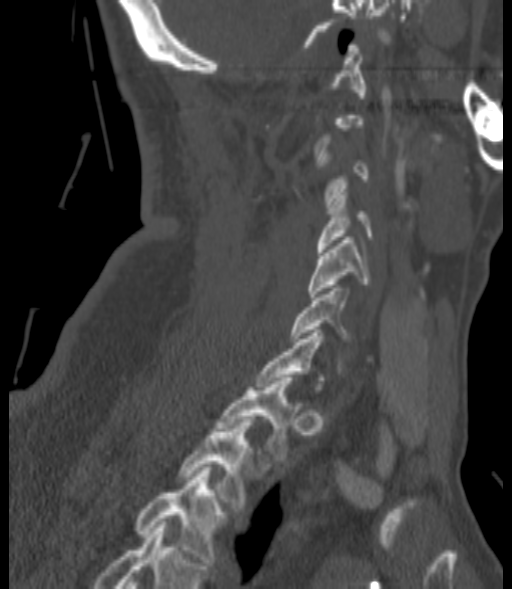 Computed tomography of the spine · sagittal reformat · Bone window (WL 400, WW 1800) · 512x589 px · image width 200 mm

Coordinates as <box>x1,y1,x2,y2</box>. A vertebra gets a box only on the slices from the first to the last where its cross-section is at least a third of its largest; on a slice outside that range it gets none. Vertebrae labeled: C4 at <box>318,186,371,252</box>, C5 at <box>308,237,370,297</box>, C6 at <box>290,288,351,341</box>, T1 at <box>216,378,294,463</box>, T2 at <box>177,419,253,511</box>, T3 at <box>134,467,228,565</box>.